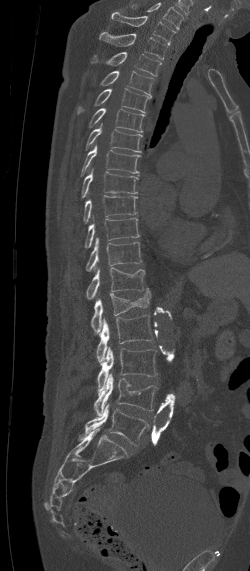 CT; sagittal view; W/L 1800/400 HU
Boxes: x1:y1:x2:y2 in pixels.
The highest labeled vertebra in this scan is C7; the lowest is L5.
Vertebra bounding boxes:
- C7: 111:12:176:45
- T1: 99:32:168:59
- T2: 91:52:161:76
- T3: 100:71:153:96
- T4: 77:88:150:113
- T5: 87:108:144:133
- T6: 85:123:142:152
- T7: 80:145:141:176
- T8: 81:168:138:199
- T9: 83:195:137:222
- T10: 85:217:140:248
- T11: 85:238:141:271
- T12: 85:267:146:299
- L1: 91:288:150:333
- L2: 96:315:153:362
- L3: 97:347:156:395
- L4: 93:374:158:415
- L5: 77:404:148:445